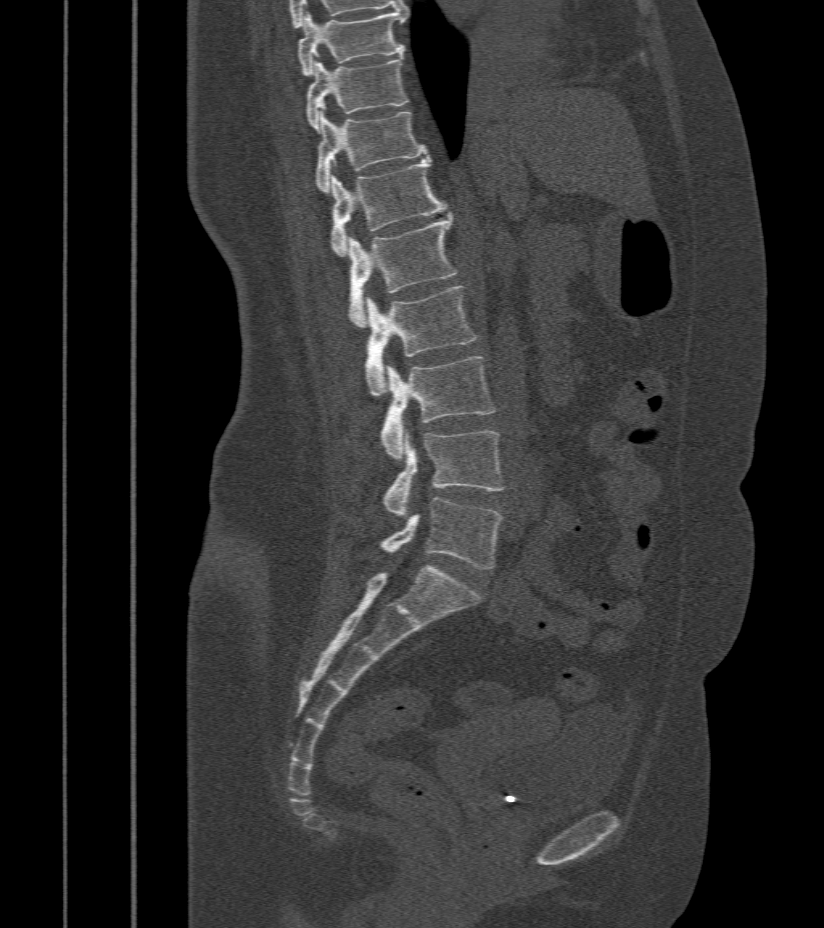 Spine computed tomography; sagittal reformat; bone window; 412 mm image width
Bounding boxes as [x1, y1, x2, y2] in pixel coordinates.
T9: [298, 11, 406, 76]
T10: [306, 57, 409, 130]
T11: [314, 107, 429, 192]
T12: [330, 159, 446, 256]
L1: [348, 213, 456, 328]
L2: [365, 287, 477, 396]
L3: [380, 357, 496, 458]
L4: [383, 431, 504, 516]
L5: [380, 497, 501, 568]